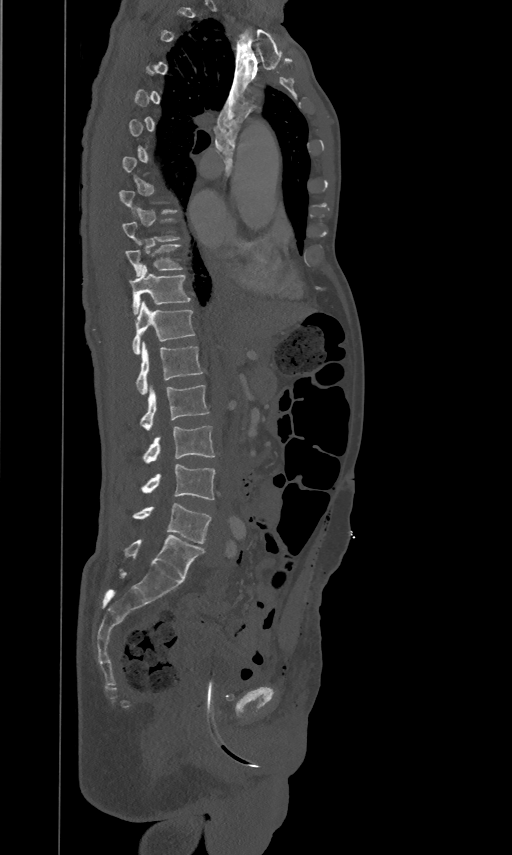 Spine computed tomography. sagittal view. bone-window reconstruction. 512x855 px

Bounding boxes as [x1, y1, x2, y2] in pixel coordinates.
A vertebra is boxed only from the first to the last slice where its cross-section is at least a third of its largest; slices outside that range leave it without a box.
Vertebra bounding boxes:
- L5: [132, 503, 211, 543]
- L4: [141, 464, 215, 500]
- L3: [142, 425, 214, 463]
- L2: [140, 384, 209, 430]
- L1: [135, 342, 202, 394]
- T12: [132, 301, 195, 353]
- T11: [130, 264, 190, 314]
- T10: [125, 241, 182, 275]